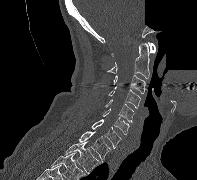 CT, spine — sagittal reformat — 197 mm across the image — part of the image has been replaced by a constant value
Box edges are left/top/right/bottom in pixels.
C1: left=111, top=42, right=155, bottom=56
C2: left=107, top=42, right=149, bottom=78
C3: left=113, top=74, right=145, bottom=93
C4: left=108, top=86, right=140, bottom=108
C5: left=104, top=99, right=134, bottom=122
C6: left=102, top=108, right=129, bottom=134
C7: left=91, top=119, right=121, bottom=148
T1: left=78, top=131, right=110, bottom=159
T2: left=65, top=141, right=101, bottom=173